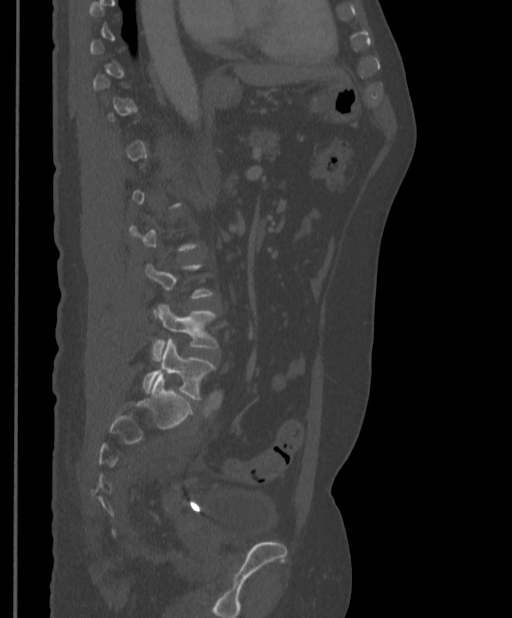
Spine computed tomography — sagittal view
Box values are [left, top, right, bottom] in pixels.
Not every vertebra on this slice has a box: a vertebra is boxed only from the first to the last slice where its cross-section is at least a third of its largest, and this slice is outside that range for at least one of them.
{"vertebrae":{"L4":[152,304,218,360],"L5":[142,339,216,400]}}